CT; sagittal reformat
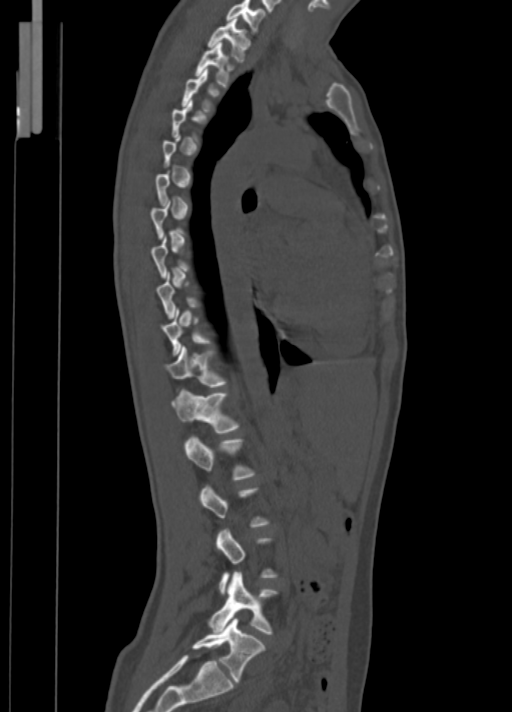

Coordinates as <box>x1,y1,x2,y2</box>.
Not every vertebra on this slice has a box: a vertebra is boxed only from the first to the last slice where its cross-section is at least a third of its largest, and this slice is outside that range for at least one of them.
L5: <box>191,617,265,682</box>
L4: <box>207,572,278,634</box>
L1: <box>184,436,255,480</box>
T12: <box>171,389,239,433</box>
T11: <box>165,345,227,387</box>
T2: <box>194,42,233,87</box>
T1: <box>207,18,250,62</box>
C7: <box>225,0,264,31</box>